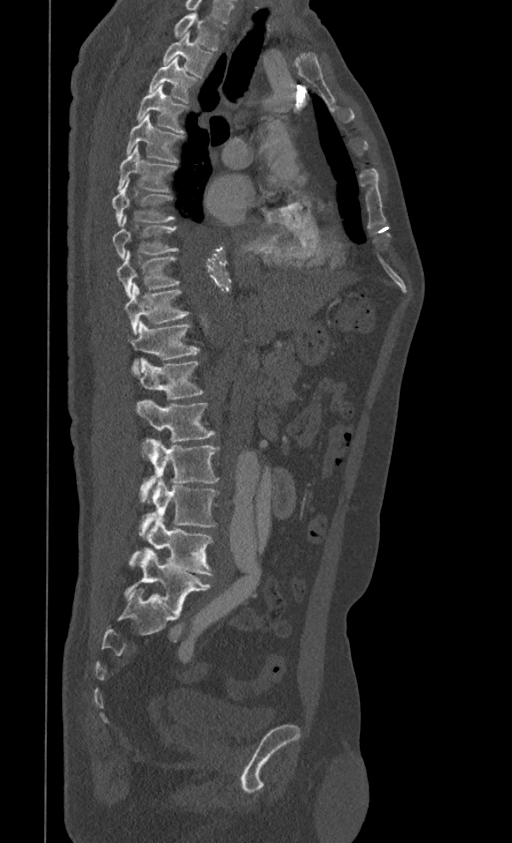
CT — sagittal view
Coordinates as <box>x1,y1,x2,y2</box>.
Vertebra bounding boxes:
- T1: <box>174,12,224,50</box>
- T2: <box>162,32,213,76</box>
- T3: <box>149,58,196,102</box>
- T4: <box>137,84,187,133</box>
- T5: <box>126,114,182,162</box>
- T6: <box>118,146,176,192</box>
- T7: <box>111,178,175,225</box>
- T8: <box>113,216,177,258</box>
- T9: <box>117,251,180,297</box>
- T10: <box>124,284,189,334</box>
- T11: <box>129,320,199,374</box>
- T12: <box>138,358,204,400</box>
- L1: <box>135,400,214,441</box>
- L2: <box>140,438,220,500</box>
- L3: <box>140,477,218,533</box>
- L4: <box>129,516,213,575</box>
- L5: <box>124,547,211,613</box>